CT spine; sagittal plane, index 326
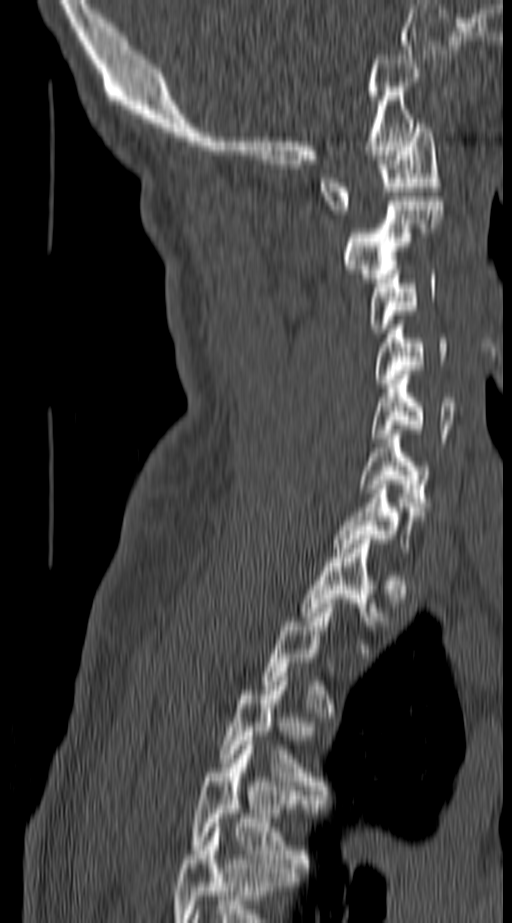 Each vertebra maps to its box as [x1, y1, x2, y2], the pixel coordinates of its top-left and bottom-right corners.
A vertebra is boxed only from the first to the last slice where its cross-section is at least a third of its largest; slices outside that range leave it without a box.
The highest labeled vertebra in this scan is C1; the lowest is T4.
{"vertebrae":{"C1":[320,123,441,214],"C2":[341,201,443,282],"C3":[367,274,436,333],"C4":[374,329,450,383],"C5":[371,370,458,442],"C6":[360,430,428,511],"C7":[334,480,414,548],"T1":[301,535,377,648],"T3":[221,672,326,794],"T4":[192,741,315,868]}}